Computed tomography of the spine — sagittal view — Bone window (WL 400, WW 1800)
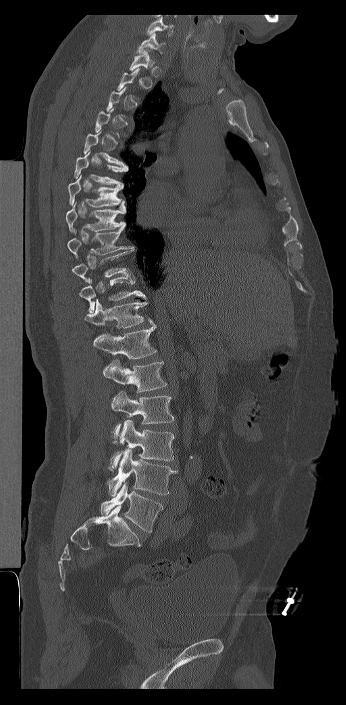 Boxes are (x1, y1, x2, y2) in pixels.
A vertebra gets a box only on the slices from the first to the last where its cross-section is at least a third of its largest; on a slice outside that range it gets none.
Labels in this scan begin with C7 at the top and end with L6 at the bottom.
The labels name a sixth lumbar vertebra for this spine: L6, after L5.
C7: (136, 33, 165, 53)
T5: (83, 130, 125, 165)
T6: (74, 150, 128, 187)
T7: (68, 175, 123, 207)
T8: (65, 200, 125, 232)
T9: (67, 226, 134, 257)
T10: (71, 249, 135, 282)
T11: (79, 274, 146, 312)
T12: (84, 299, 153, 328)
L1: (93, 324, 157, 359)
L2: (103, 359, 167, 392)
L3: (111, 391, 174, 444)
L4: (108, 420, 175, 471)
L5: (107, 449, 177, 496)
L6: (100, 482, 163, 532)